CT spine. sagittal view. bone-window reconstruction. image 368 mm wide
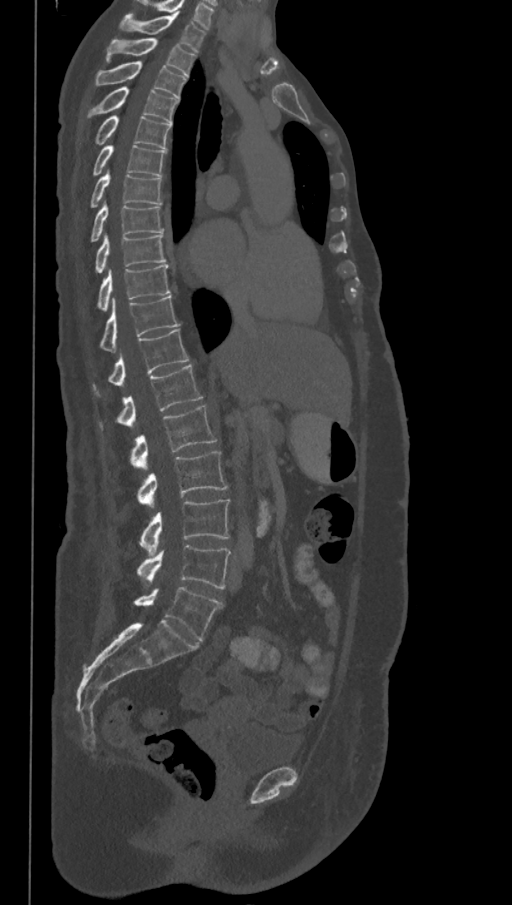

The highest labeled vertebra in this scan is T1; the lowest is L6.
These labels give the spine a sixth lumbar vertebra, L6, below L5.
<vertebrae><v name="T1" x1="119" y1="14" x2="206" y2="52"/><v name="T2" x1="106" y1="38" x2="196" y2="75"/><v name="T3" x1="94" y1="61" x2="187" y2="99"/><v name="T4" x1="87" y1="86" x2="178" y2="124"/><v name="T5" x1="94" y1="115" x2="170" y2="149"/><v name="T6" x1="93" y1="144" x2="166" y2="176"/><v name="T7" x1="90" y1="170" x2="162" y2="207"/><v name="T8" x1="90" y1="202" x2="163" y2="241"/><v name="T9" x1="94" y1="233" x2="166" y2="273"/><v name="T10" x1="97" y1="264" x2="170" y2="311"/><v name="T11" x1="100" y1="296" x2="180" y2="351"/><v name="T12" x1="93" y1="329" x2="189" y2="390"/><v name="L1" x1="100" y1="364" x2="202" y2="427"/><v name="L2" x1="131" y1="404" x2="216" y2="469"/><v name="L3" x1="138" y1="451" x2="227" y2="506"/><v name="L4" x1="139" y1="500" x2="230" y2="554"/><v name="L5" x1="136" y1="545" x2="231" y2="589"/><v name="L6" x1="133" y1="587" x2="223" y2="640"/></vertebrae>